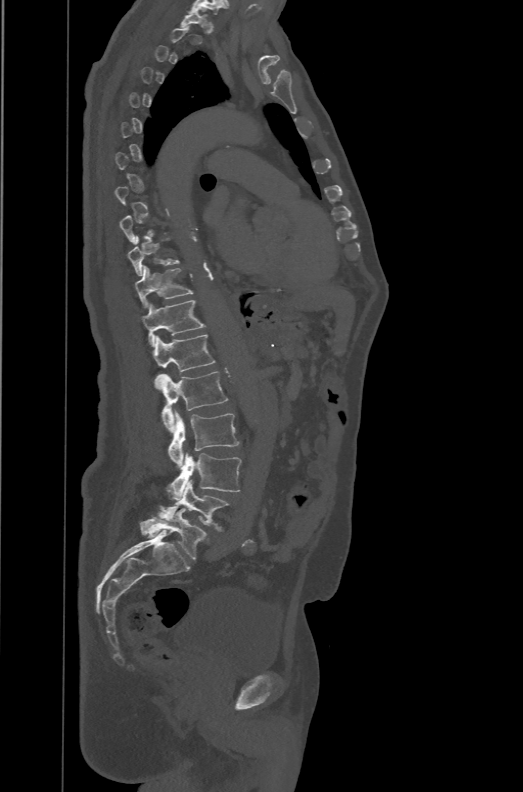 CT, spine · sagittal view · 523x792 px
A vertebra is boxed only from the first to the last slice where its cross-section is at least a third of its largest; slices outside that range leave it without a box.
In these labels the spine has an L6, a sixth lumbar vertebra below L5.
<vertebrae><v name="T10" x1="128" y1="236" x2="179" y2="275"/><v name="T11" x1="134" y1="265" x2="193" y2="308"/><v name="T12" x1="141" y1="300" x2="205" y2="346"/><v name="L1" x1="153" y1="334" x2="216" y2="389"/><v name="L2" x1="158" y1="371" x2="228" y2="432"/><v name="L3" x1="168" y1="410" x2="239" y2="467"/><v name="L4" x1="167" y1="453" x2="241" y2="499"/><v name="L5" x1="157" y1="480" x2="230" y2="531"/><v name="L6" x1="139" y1="508" x2="209" y2="560"/></vertebrae>